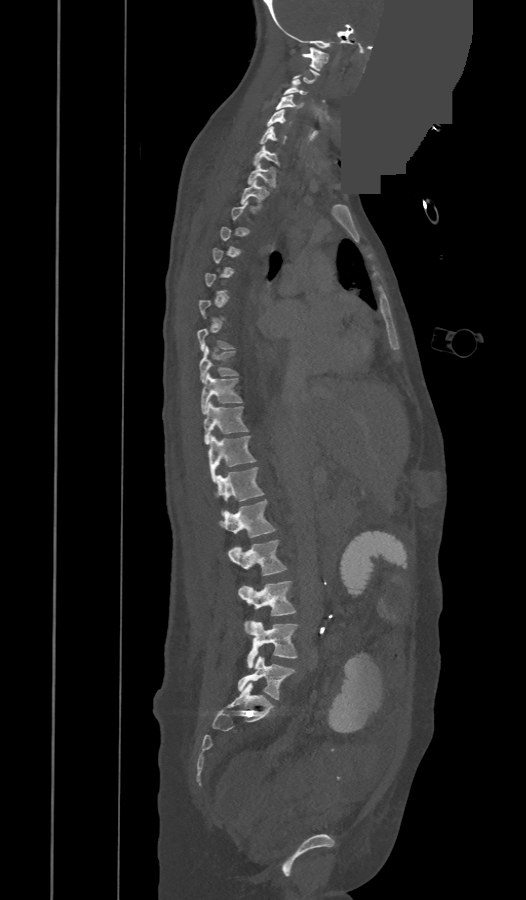

CT, spine. sagittal view. image 473 mm wide. a region is masked with a constant gray value
Bounding boxes as [x1, y1, x2, y2] in pixel coordinates. Not every vertebra on this slice has a box: a vertebra is boxed only from the first to the last slice where its cross-section is at least a third of its largest, and this slice is outside that range for at least one of them. These labels give the spine a thirteenth thoracic vertebra: T13 sits between T12 and L1. Vertebrae labeled: L5 at [238, 657, 295, 699], L4 at [246, 621, 297, 668], L3 at [238, 581, 296, 630], L2 at [228, 540, 286, 575], L1 at [220, 500, 274, 537], T13 at [216, 467, 264, 501], T12 at [208, 436, 256, 481], T11 at [204, 402, 247, 444], T10 at [201, 373, 242, 414], T9 at [200, 346, 238, 382], T2 at [240, 180, 268, 207], T1 at [247, 163, 275, 188], C7 at [254, 146, 279, 166], C6 at [260, 127, 285, 144], C5 at [267, 109, 284, 126], C4 at [275, 95, 299, 109], C3 at [283, 79, 307, 95], C1 at [302, 47, 327, 70].